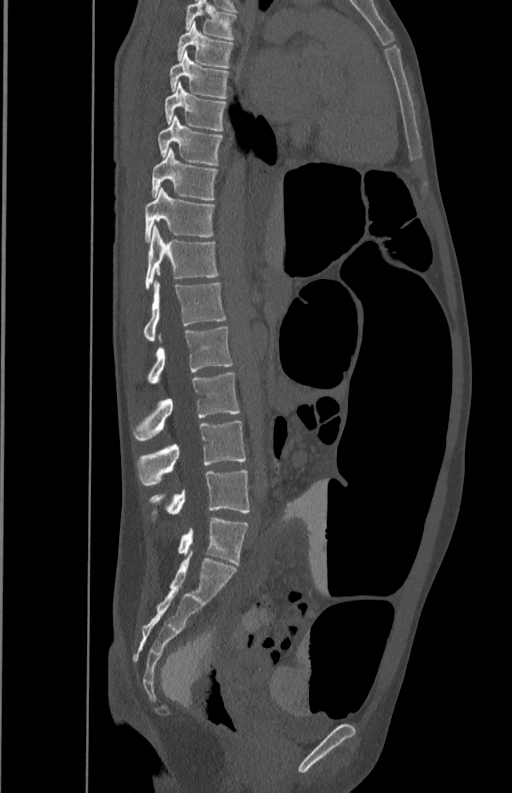 Spine CT · sagittal view · Bone window (WL 400, WW 1800)

Boxes: x1 y1 x2 y2 (pixel coords, space-separated).
Vertebra bounding boxes:
- L5: 150 469 249 515
- L4: 136 421 246 486
- L3: 133 373 240 440
- L2: 146 327 233 383
- L1: 143 280 226 341
- T12: 145 225 218 290
- T11: 145 187 215 241
- T10: 152 147 218 199
- T9: 158 116 223 165
- T8: 165 82 226 131
- T7: 169 53 230 98
- T6: 177 21 233 67
- T5: 186 1 237 40